Spine CT. sagittal reformat. Bone window (WL 400, WW 1800). 512x594 px
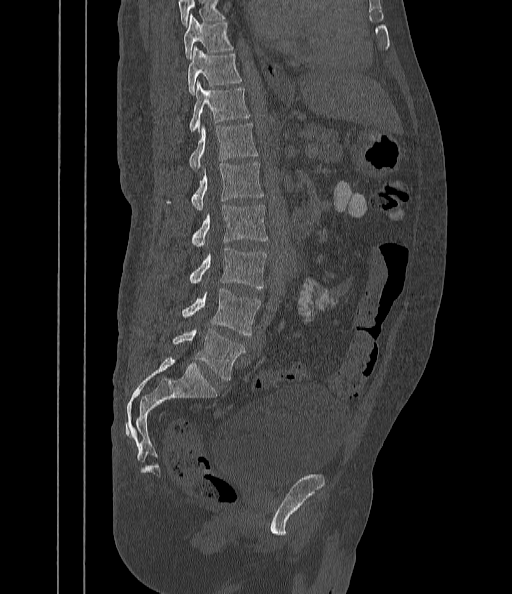 Boxes are given in columns x1, y1, x2, y2, the pixel coordinates of their top-left and bottom-right corners.
A vertebra cut off by the top edge of the scan is not labeled and has no box.
| vertebra | x1 | y1 | x2 | y2 |
|---|---|---|---|---|
| T9 | 184 | 16 | 233 | 58 |
| T10 | 188 | 47 | 242 | 95 |
| T11 | 189 | 82 | 249 | 131 |
| T12 | 189 | 123 | 257 | 171 |
| L1 | 166 | 162 | 263 | 209 |
| L2 | 191 | 205 | 268 | 247 |
| L3 | 189 | 248 | 267 | 289 |
| L4 | 182 | 288 | 261 | 336 |
| L5 | 173 | 328 | 244 | 380 |